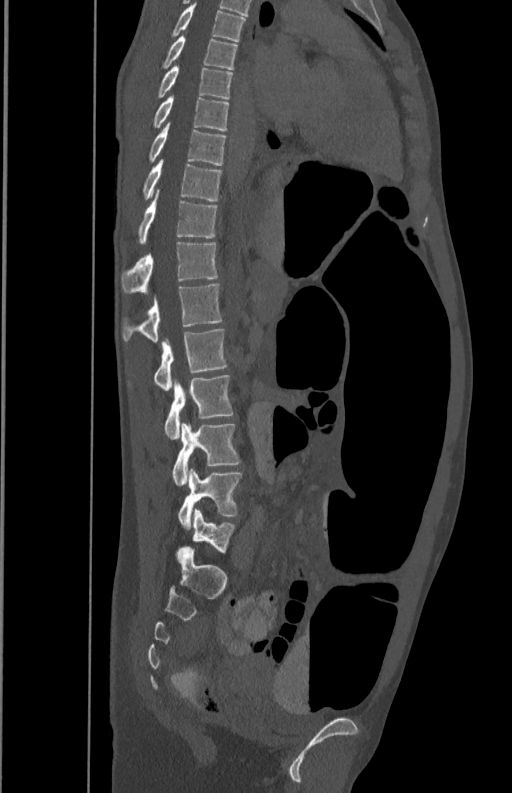
CT spine; sagittal view; Bone window (WL 400, WW 1800); 350 mm wide. Each box given as x1,y1,x2,y2.
T5: x1=172, y1=3, x2=245, y2=41
T6: x1=162, y1=34, x2=237, y2=69
T7: x1=158, y1=65, x2=233, y2=98
T8: x1=153, y1=95, x2=228, y2=131
T9: x1=149, y1=122, x2=226, y2=165
T10: x1=143, y1=159, x2=221, y2=200
T11: x1=139, y1=190, x2=217, y2=243
T12: x1=121, y1=241, x2=217, y2=293
L1: x1=123, y1=283, x2=223, y2=341
L2: x1=128, y1=329, x2=227, y2=391
L3: x1=165, y1=374, x2=233, y2=439
L4: x1=172, y1=423, x2=240, y2=486
L5: x1=178, y1=467, x2=242, y2=528